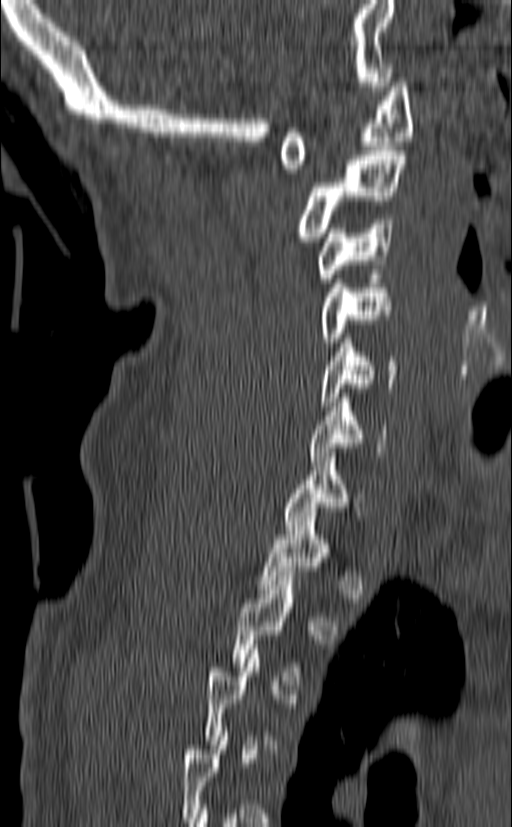

Spine computed tomography. sagittal view. Columns x1, y1, x2, y2 give each box's top-left and bottom-right pixels.
Each vertebra is boxed only on the slices from the first to the last where its cross-section reaches a third of its largest, so a slice outside that range leaves it unboxed.
| vertebra | x1 | y1 | x2 | y2 |
|---|---|---|---|---|
| C1 | 279 | 78 | 413 | 173 |
| C2 | 294 | 146 | 406 | 241 |
| C3 | 316 | 219 | 393 | 282 |
| C4 | 320 | 274 | 393 | 346 |
| C5 | 319 | 334 | 396 | 406 |
| C6 | 309 | 393 | 387 | 461 |
| C7 | 283 | 448 | 362 | 534 |
| T2 | 232 | 571 | 304 | 680 |